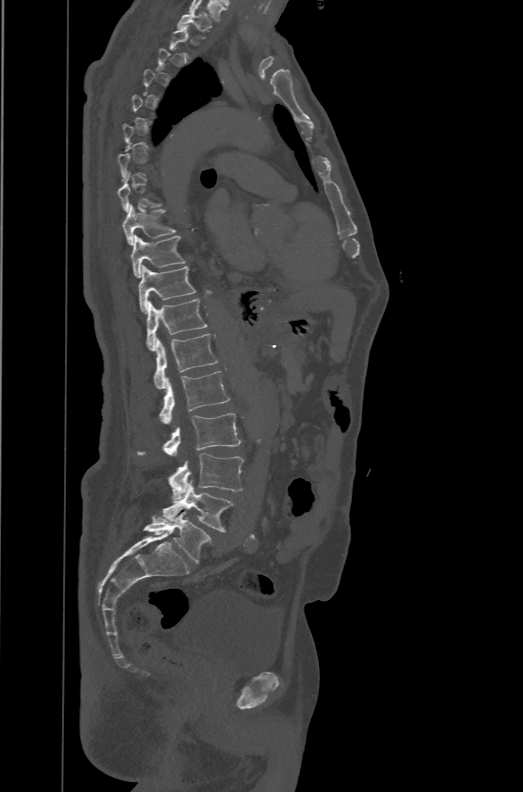

Computed tomography of the spine · sagittal view · 471 mm image width · 523x792 px
A vertebra is boxed only from the first to the last slice where its cross-section is at least a third of its largest; slices outside that range leave it without a box.
In these labels the spine has an L6, a sixth lumbar vertebra below L5.
<vertebrae><v name="T1" x1="177" y1="11" x2="212" y2="38"/><v name="T9" x1="121" y1="204" x2="176" y2="245"/><v name="T10" x1="130" y1="234" x2="184" y2="278"/><v name="T11" x1="138" y1="265" x2="195" y2="314"/><v name="T12" x1="146" y1="299" x2="206" y2="351"/><v name="L1" x1="153" y1="334" x2="218" y2="388"/><v name="L2" x1="159" y1="371" x2="230" y2="424"/><v name="L3" x1="138" y1="413" x2="241" y2="457"/><v name="L4" x1="169" y1="453" x2="243" y2="499"/><v name="L5" x1="163" y1="480" x2="234" y2="531"/><v name="L6" x1="143" y1="511" x2="210" y2="562"/></vertebrae>